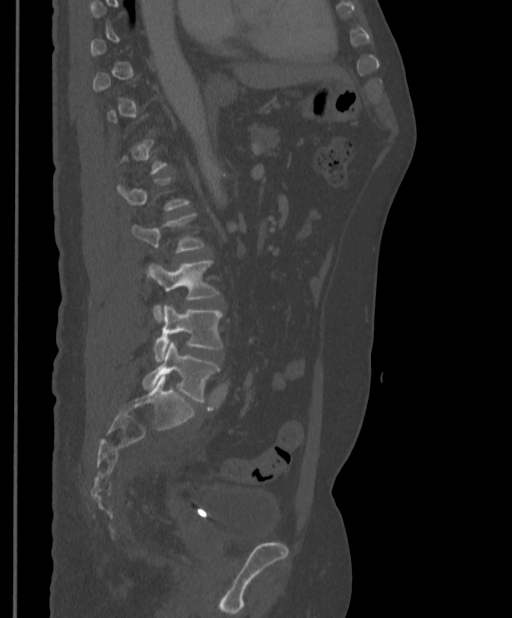

Spine computed tomography — sagittal view — bone-window reconstruction — 512x618 px
A vertebra gets a box only on the slices from the first to the last where its cross-section is at least a third of its largest; on a slice outside that range it gets none.
<vertebrae><v name="L2" x1="131" y1="213" x2="204" y2="279"/><v name="L3" x1="149" y1="259" x2="219" y2="321"/><v name="L4" x1="153" y1="306" x2="223" y2="361"/><v name="L5" x1="142" y1="340" x2="219" y2="403"/></vertebrae>